CT — sagittal plane, index 19 — Bone window (WL 400, WW 1800)
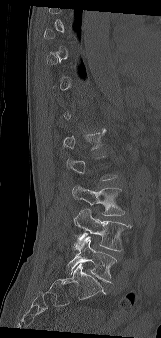

Columns x1, y1, x2, y2 give each box's top-left and bottom-right pixels.
Not every vertebra on this slice has a box: a vertebra is boxed only from the first to the last slice where its cross-section is at least a third of its largest, and this slice is outside that range for at least one of them.
| vertebra | x1 | y1 | x2 | y2 |
|---|---|---|---|---|
| L1 | 63 | 128 | 106 | 149 |
| L3 | 72 | 185 | 124 | 215 |
| L4 | 74 | 209 | 131 | 251 |
| L5 | 67 | 236 | 117 | 282 |